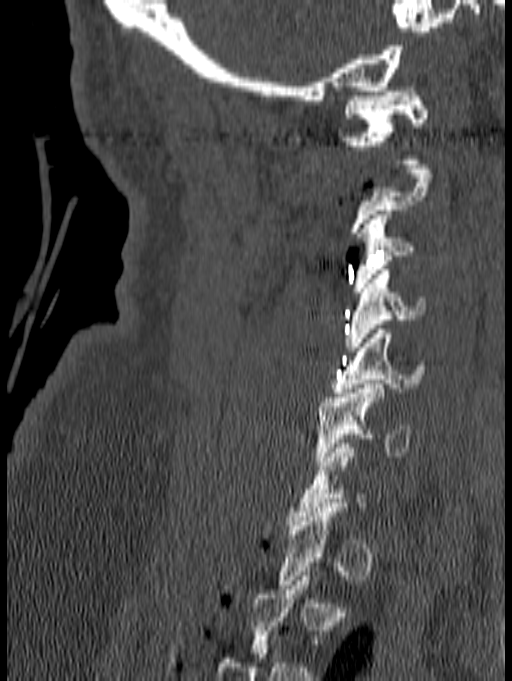 CT. sagittal view. bone window. 512x681 px
Boxes below are [x1, y1, x2, y2] in pixels.
Not every vertebra on this slice has a box: a vertebra is boxed only from the first to the last slice where its cross-section is at least a third of its largest, and this slice is outside that range for at least one of them.
{"vertebrae":{"C1":[341,87,428,164],"C3":[352,210,414,292],"C4":[344,270,426,351],"C5":[330,329,425,397],"C6":[315,384,411,465]}}